CT. Sagittal slice 317/512. bone window. 11 vertebrae labeled in this scan
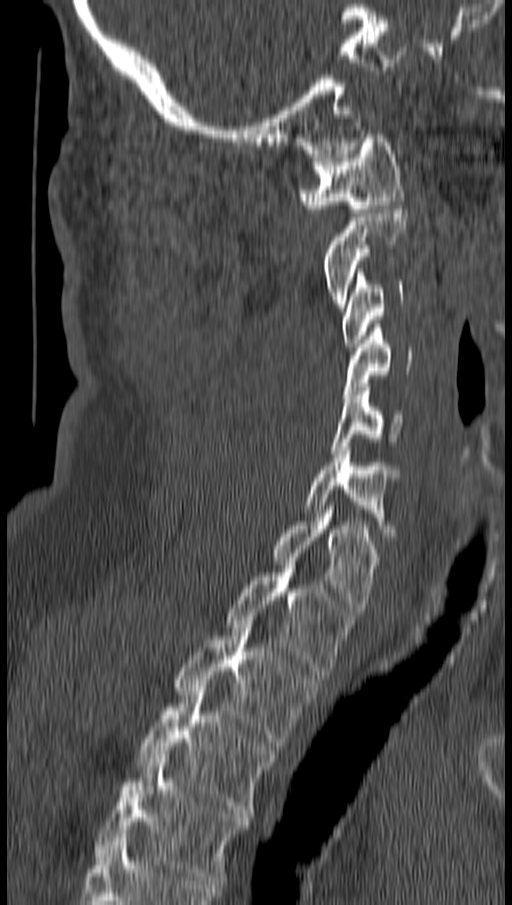
Boxes are given in columns x1, y1, x2, y2, the pixel coordinates of their top-left and bottom-right corners.
| vertebra | x1 | y1 | x2 | y2 |
|---|---|---|---|---|
| T4 | 96 | 755 | 250 | 884 |
| T3 | 137 | 687 | 275 | 817 |
| T2 | 175 | 624 | 319 | 746 |
| T1 | 225 | 565 | 354 | 675 |
| C7 | 273 | 510 | 379 | 611 |
| C6 | 304 | 446 | 398 | 536 |
| C5 | 330 | 387 | 401 | 453 |
| C4 | 342 | 324 | 412 | 398 |
| C3 | 342 | 269 | 403 | 347 |
| C2 | 323 | 205 | 407 | 307 |
| C1 | 298 | 130 | 405 | 212 |